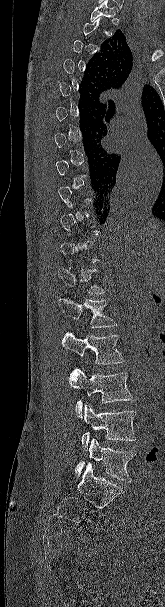 Spine CT. sagittal view. bone window
A vertebra gets a box only on the slices from the first to the last where its cross-section is at least a third of its largest; on a slice outside that range it gets none.
<vertebrae><v name="T12" x1="58" y1="267" x2="108" y2="294"/><v name="L1" x1="58" y1="298" x2="117" y2="327"/><v name="L2" x1="62" y1="332" x2="125" y2="364"/><v name="L3" x1="68" y1="367" x2="132" y2="418"/><v name="L4" x1="81" y1="404" x2="136" y2="450"/><v name="L5" x1="75" y1="438" x2="135" y2="482"/></vertebrae>